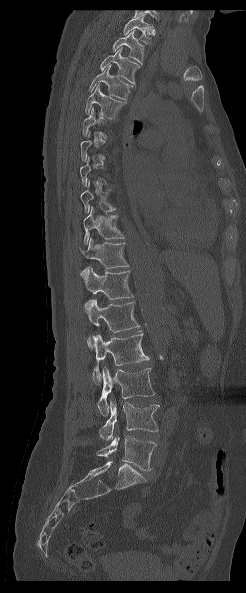 Spine CT · sagittal view · 246x593 px · image 246 mm wide

Boxes are (x1, y1, x2, y2) in pixels.
Each vertebra is boxed only on the slices from the first to the last where its cross-section reaches a third of its largest, so a slice outside that range leaves it unboxed.
Labels in this scan begin with T1 at the top and end with L5 at the bottom.
T1: (123, 14, 151, 43)
T2: (112, 31, 144, 64)
T3: (100, 46, 140, 84)
T4: (88, 66, 133, 99)
T5: (85, 83, 126, 119)
T9: (80, 180, 115, 212)
T10: (83, 206, 124, 244)
T11: (80, 237, 128, 274)
T12: (81, 267, 133, 309)
L1: (86, 299, 139, 348)
L2: (92, 333, 149, 385)
L3: (97, 367, 154, 415)
L4: (99, 399, 159, 441)
L5: (97, 435, 156, 470)